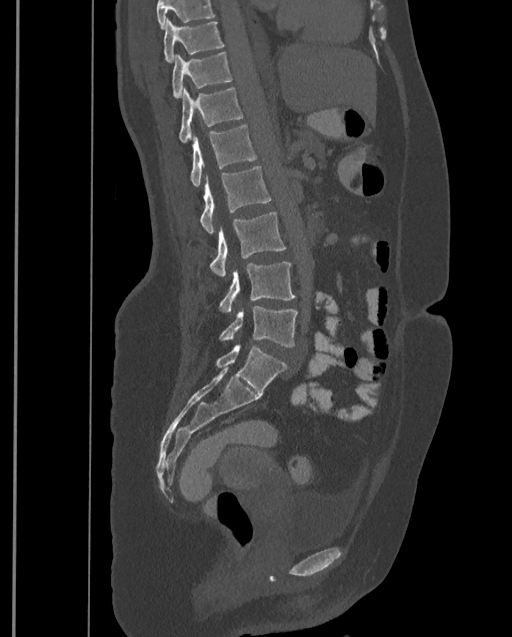
Spine CT; sagittal reformat; W/L 1800/400 HU; 399 mm image width; 512x637 px
No box is given to a vertebra that the top edge of the scan cuts off.
Labels in this scan begin with T9 at the top and end with L4 at the bottom.
<vertebrae><v name="T9" x1="163" y1="17" x2="225" y2="63"/><v name="T10" x1="172" y1="51" x2="232" y2="97"/><v name="T11" x1="178" y1="87" x2="243" y2="142"/><v name="T12" x1="190" y1="125" x2="257" y2="186"/><v name="L1" x1="200" y1="165" x2="271" y2="233"/><v name="L2" x1="210" y1="211" x2="285" y2="278"/><v name="L3" x1="219" y1="262" x2="295" y2="312"/><v name="L4" x1="219" y1="306" x2="298" y2="347"/></vertebrae>